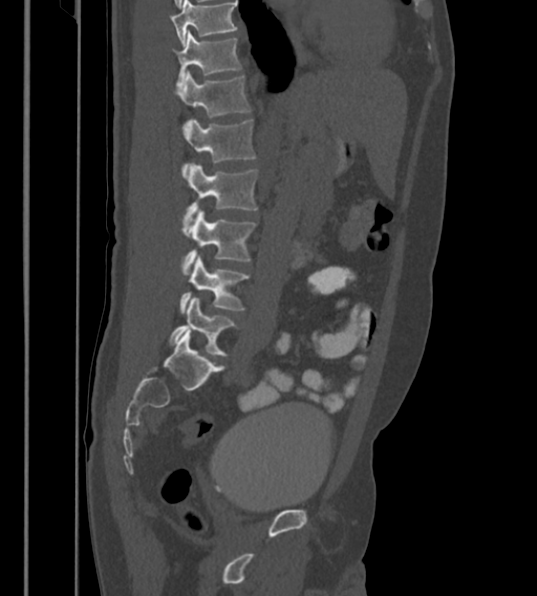 Spine CT. sagittal view. W/L 1800/400 HU
In this scan, the topmost labeled vertebra is T12 and the lowest is L6.
The labels name a sixth lumbar vertebra for this spine: L6, after L5.
<vertebrae><v name="T12" x1="172" y1="30" x2="241" y2="86"/><v name="L1" x1="177" y1="72" x2="252" y2="129"/><v name="L2" x1="181" y1="119" x2="256" y2="178"/><v name="L3" x1="184" y1="162" x2="258" y2="225"/><v name="L4" x1="181" y1="210" x2="256" y2="276"/><v name="L5" x1="180" y1="256" x2="249" y2="313"/><v name="L6" x1="169" y1="297" x2="238" y2="355"/></vertebrae>